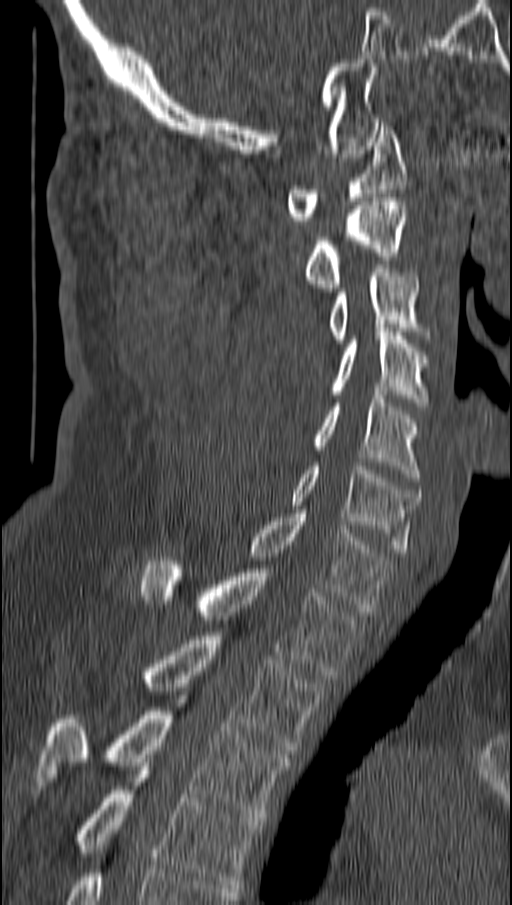 Spine CT · sagittal reformat · W/L 1800/400 HU. Boxes: x1:y1:x2:y2 in pixels. Vertebrae labeled: C1 at 286:126:405:224, C2 at 304:198:405:291, C3 at 327:265:427:343, C4 at 330:328:427:406, C5 at 311:395:420:481, C6 at 289:466:420:556, C7 at 248:510:392:611, T1 at 139:557:357:679, T2 at 140:632:322:754, T3 at 36:707:291:817, T4 at 74:766:259:888.